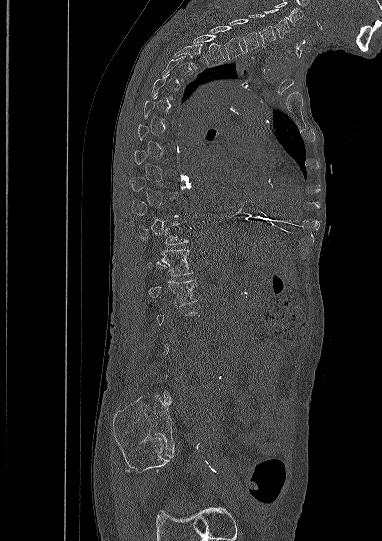

Spine computed tomography · sagittal view
Each vertebra is boxed only on the slices from the first to the last where its cross-section reaches a third of its largest, so a slice outside that range leaves it unboxed.
<vertebrae><v name="C5" x1="261" y1="9" x2="289" y2="36"/><v name="C6" x1="248" y1="14" x2="275" y2="47"/><v name="C7" x1="230" y1="18" x2="259" y2="51"/><v name="T1" x1="209" y1="25" x2="243" y2="59"/><v name="T2" x1="193" y1="34" x2="225" y2="64"/><v name="T3" x1="175" y1="44" x2="201" y2="69"/><v name="T11" x1="139" y1="223" x2="188" y2="245"/><v name="T12" x1="146" y1="249" x2="193" y2="276"/><v name="L1" x1="147" y1="280" x2="197" y2="305"/></vertebrae>